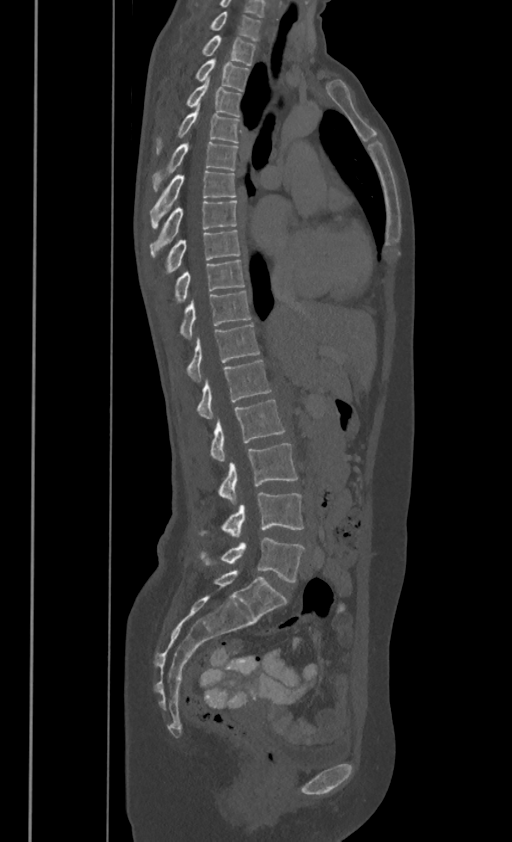
Spine CT; sagittal view
In these labels the spine has no T12: the thoracic vertebrae end at T11, and L1 comes next.
<vertebrae><v name="C7" x1="209" y1="11" x2="260" y2="38"/><v name="T1" x1="201" y1="35" x2="255" y2="63"/><v name="T2" x1="195" y1="58" x2="248" y2="89"/><v name="T3" x1="187" y1="76" x2="240" y2="115"/><v name="T4" x1="156" y1="103" x2="239" y2="153"/><v name="T5" x1="152" y1="140" x2="238" y2="189"/><v name="T6" x1="150" y1="170" x2="235" y2="227"/><v name="T7" x1="150" y1="199" x2="236" y2="256"/><v name="T8" x1="166" y1="229" x2="240" y2="270"/><v name="T9" x1="175" y1="258" x2="244" y2="301"/><v name="T10" x1="180" y1="290" x2="251" y2="337"/><v name="T11" x1="187" y1="324" x2="259" y2="380"/><v name="L1" x1="197" y1="359" x2="271" y2="418"/><v name="L2" x1="211" y1="399" x2="284" y2="461"/><v name="L3" x1="219" y1="443" x2="297" y2="503"/><v name="L4" x1="200" y1="493" x2="303" y2="537"/><v name="L5" x1="200" y1="538" x2="304" y2="582"/></vertebrae>